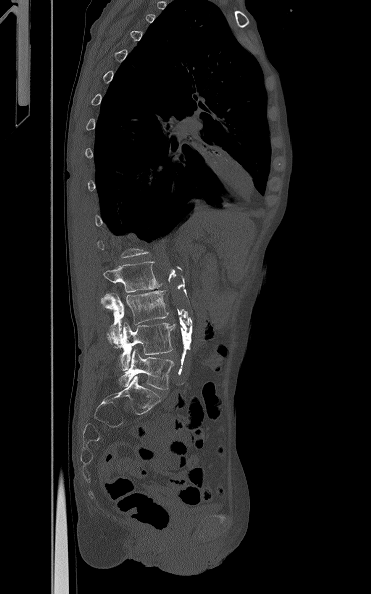 CT · sagittal view · 371x594 px
Each box given as x1,y1,x2,y2.
Not every vertebra on this slice has a box: a vertebra is boxed only from the first to the last slice where its cross-section is at least a third of its largest, and this slice is outside that range for at least one of them.
Vertebra bounding boxes:
- L2: x1=103, y1=261, x2=162, y2=292
- L3: x1=101, y1=290, x2=169, y2=344
- L4: x1=106, y1=322, x2=175, y2=370
- L5: x1=119, y1=349, x2=173, y2=389